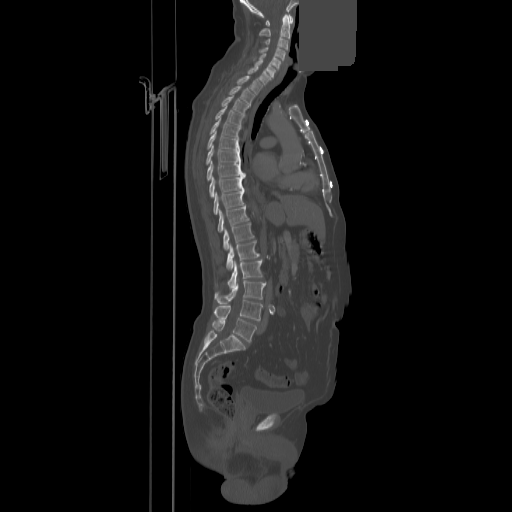

Spine computed tomography. sagittal view. bone-window reconstruction. a uniform gray block covers part of the image
Coordinates as <box>x1,y1,x2,y2</box>. 24 vertebrae labeled — C1 at <box>266,14,292,26</box>; C2 at <box>259,14,289,38</box>; C3 at <box>265,37,288,50</box>; C4 at <box>259,47,285,60</box>; C5 at <box>259,53,280,70</box>; C6 at <box>254,60,276,76</box>; C7 at <box>247,67,273,84</box>; T1 at <box>237,75,262,93</box>; T2 at <box>229,85,254,104</box>; T3 at <box>222,95,248,114</box>; T4 at <box>215,105,243,125</box>; T5 at <box>210,118,240,138</box>; T6 at <box>207,131,238,149</box>; T7 at <box>206,145,239,164</box>; T8 at <box>207,161,244,180</box>; T9 at <box>209,175,244,197</box>; T10 at <box>213,189,244,214</box>; T11 at <box>217,205,249,232</box>; T12 at <box>223,222,253,250</box>; L1 at <box>226,240,259,270</box>; L2 at <box>228,259,262,287</box>; L3 at <box>214,280,265,304</box>; L4 at <box>214,300,262,320</box>; L5 at <box>212,318,256,342</box>.